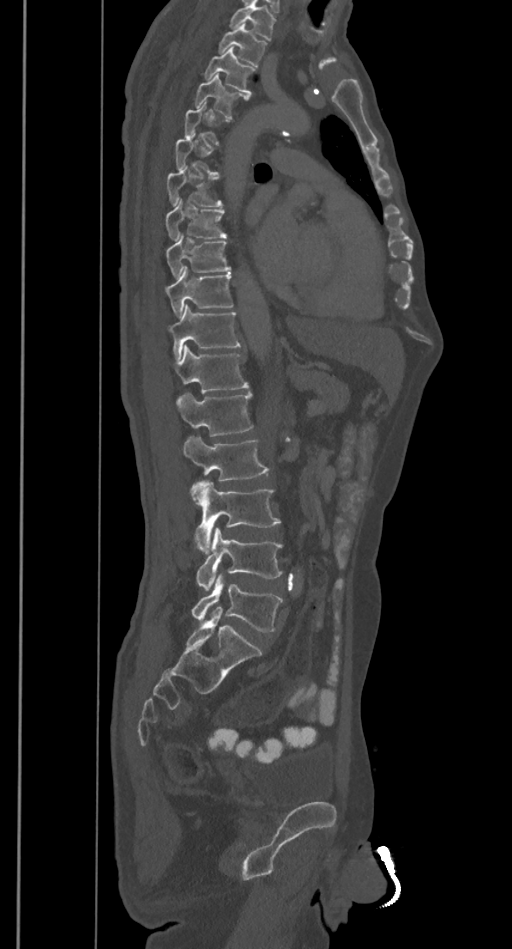 Spine computed tomography · sagittal reformat
Boxes are given in columns x1, y1, x2, y2, the pixel coordinates of their top-left and bottom-right corners.
Not every vertebra on this slice has a box: a vertebra is boxed only from the first to the last slice where its cross-section is at least a third of its largest, and this slice is outside that range for at least one of them.
A vertebra cut off by the top edge of the scan is not labeled and has no box.
| vertebra | x1 | y1 | x2 | y2 |
|---|---|---|---|---|
| L5 | 191 | 576 | 283 | 632 |
| L4 | 195 | 528 | 282 | 590 |
| L3 | 191 | 481 | 281 | 553 |
| L2 | 183 | 436 | 269 | 481 |
| L1 | 177 | 391 | 253 | 436 |
| T12 | 175 | 345 | 249 | 393 |
| T11 | 169 | 304 | 241 | 359 |
| T10 | 166 | 267 | 233 | 317 |
| T9 | 166 | 233 | 230 | 278 |
| T8 | 166 | 197 | 228 | 241 |
| T7 | 166 | 168 | 224 | 206 |
| T4 | 194 | 74 | 249 | 117 |
| T3 | 203 | 48 | 255 | 94 |
| T2 | 218 | 24 | 266 | 66 |